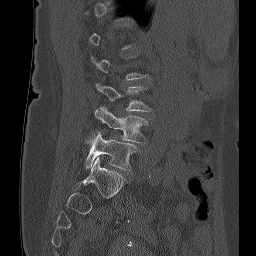
CT spine; sagittal view; W/L 1800/400 HU; 256x256 px
Each vertebra maps to its box as [x1, y1, x2, y2], the pixel coordinates of its top-left and bottom-right corners.
A vertebra is boxed only from the first to the last slice where its cross-section is at least a third of its largest; slices outside that range leave it without a box.
{"vertebrae":{"L5":[85,134,136,171],"L4":[95,106,148,142],"L3":[95,82,151,111]}}